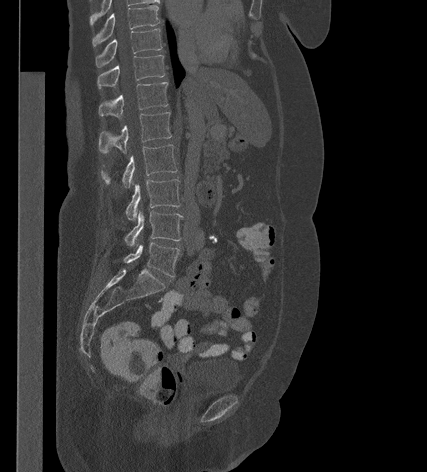 Spine CT. sagittal view. Bone window (WL 400, WW 1800). 427 mm image width. 427x472 px

<vertebrae><v name="L5" x1="123" y1="242" x2="179" y2="276"/><v name="L4" x1="125" y1="210" x2="182" y2="247"/><v name="L3" x1="126" y1="179" x2="180" y2="221"/><v name="L2" x1="101" y1="144" x2="177" y2="188"/><v name="L1" x1="98" y1="112" x2="171" y2="153"/><v name="T12" x1="99" y1="82" x2="167" y2="118"/><v name="T11" x1="97" y1="55" x2="164" y2="88"/><v name="T10" x1="96" y1="29" x2="161" y2="67"/><v name="T9" x1="92" y1="5" x2="159" y2="46"/></vertebrae>